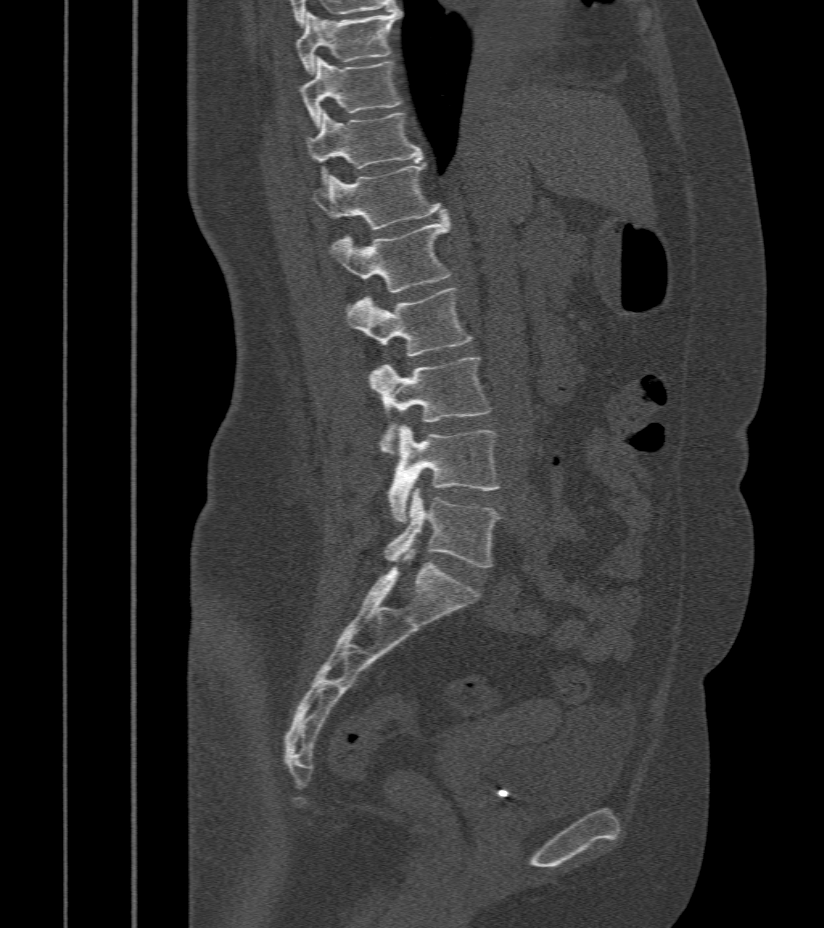
CT · sagittal view · image width 412 mm · W/L 1800/400 HU
Each box given as x1,y1,x2,y2. Vertebrae labeled: T9 at x1=296, y1=9, x2=403, y2=74, T10 at x1=299, y1=57, x2=403, y2=128, T11 at x1=307, y1=111, x2=422, y2=187, T12 at x1=312, y1=163, x2=446, y2=230, L1 at x1=330, y1=215, x2=451, y2=292, L2 at x1=346, y1=289, x2=472, y2=356, L3 at x1=369, y1=357, x2=491, y2=456, L4 at x1=388, y1=425, x2=501, y2=522, L5 at x1=383, y1=487, x2=501, y2=568.